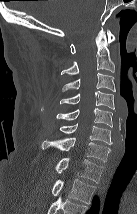
Spine computed tomography; sagittal view; bone-window reconstruction

Box edges are left/top/right/bottom in pixels.
This scan's labels start at C1 at the top and end at T2 at the bottom.
C1: left=70, top=29, right=115, bottom=54
C2: left=61, top=27, right=115, bottom=74
C3: left=62, top=73, right=115, bottom=91
C4: left=60, top=90, right=115, bottom=111
C5: left=56, top=108, right=112, bottom=127
C6: left=60, top=123, right=112, bottom=144
C7: left=42, top=138, right=110, bottom=162
T1: left=55, top=158, right=103, bottom=182
T2: left=52, top=179, right=96, bottom=203